Spine CT — Sagittal slice 227/512 — W/L 1800/400 HU
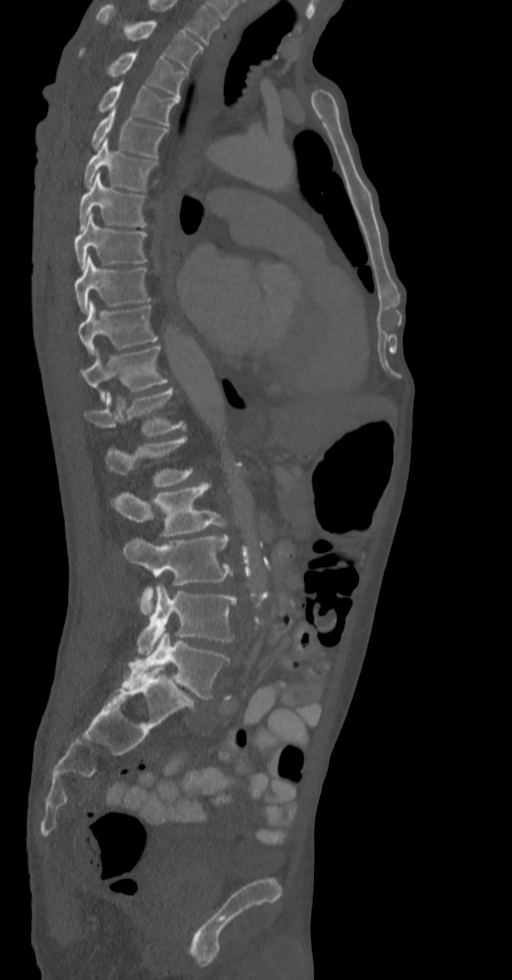
Box edges are left/top/right/bottom in pixels. Vertebrae labeled: L5 at left=121, top=632, right=229, bottom=698, L4 at left=137, top=584, right=236, bottom=654, L3 at left=123, top=535, right=232, bottom=615, L2 at left=111, top=482, right=229, bottom=535, L1 at left=105, top=436, right=192, bottom=487, T12 at left=84, top=389, right=185, bottom=436, T11 at left=80, top=346, right=168, bottom=401, T10 at left=77, top=300, right=157, bottom=354, T9 at left=74, top=254, right=150, bottom=313, T8 at left=74, top=213, right=147, bottom=269, T7 at left=79, top=172, right=147, bottom=231, T6 at left=84, top=139, right=157, bottom=191, T5 at left=91, top=108, right=168, bottom=157, T4 at left=97, top=81, right=179, bottom=125, T3 at left=79, top=49, right=185, bottom=98, T2 at left=96, top=5, right=203, bottom=69.